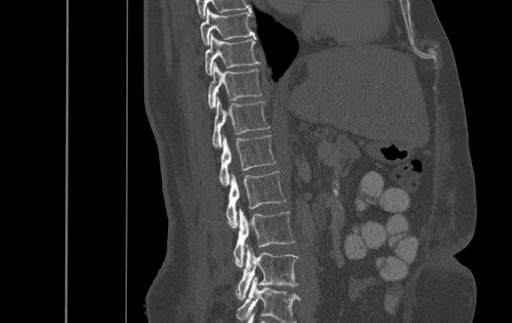
CT, spine — sagittal reformat — W/L 1800/400 HU. Boxes: x1:y1:x2:y2 in pixels.
Labels in this scan begin with T9 at the top and end with L4 at the bottom.
T9: 200:7:254:45
T10: 205:33:259:75
T11: 208:61:261:109
T12: 212:96:269:147
L1: 219:134:275:185
L2: 226:171:286:227
L3: 234:208:294:266
L4: 237:244:298:299